Spine CT · sagittal view
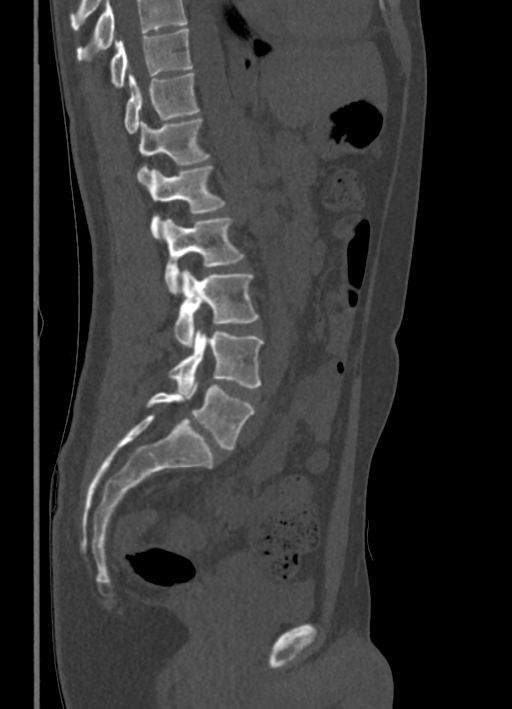

Vertebrae that run past the top of the scan are left unlabeled.
<vertebrae><v name="T10" x1="111" y1="29" x2="192" y2="87"/><v name="T11" x1="125" y1="72" x2="198" y2="133"/><v name="T12" x1="137" y1="117" x2="209" y2="181"/><v name="L1" x1="145" y1="165" x2="224" y2="238"/><v name="L2" x1="160" y1="218" x2="243" y2="293"/><v name="L3" x1="175" y1="270" x2="258" y2="347"/><v name="L4" x1="169" y1="328" x2="262" y2="394"/><v name="L5" x1="146" y1="381" x2="253" y2="449"/></vertebrae>